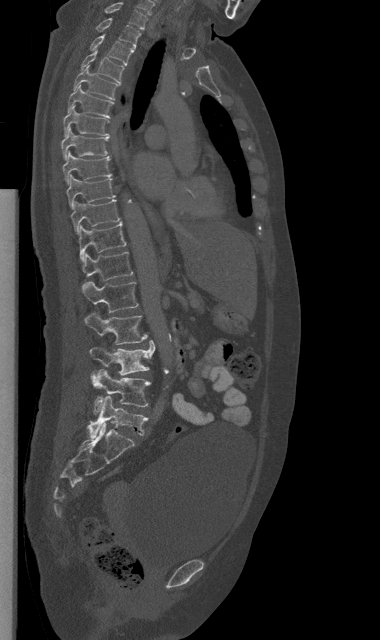

CT, spine — sagittal reformat — bone window
Boxes: x1:y1:x2:y2 in pixels.
Vertebra bounding boxes:
- C7: 104:2:146:29
- T1: 96:18:140:47
- T2: 90:34:134:65
- T3: 81:50:124:84
- T4: 73:66:120:99
- T5: 67:85:113:117
- T6: 63:106:109:136
- T7: 61:127:108:160
- T8: 62:151:112:184
- T9: 66:175:114:209
- T10: 71:200:122:234
- T11: 79:222:126:260
- T12: 82:251:132:281
- L1: 82:281:138:312
- L2: 84:313:147:344
- L3: 89:341:154:375
- L4: 90:369:151:413
- L5: 87:396:148:437